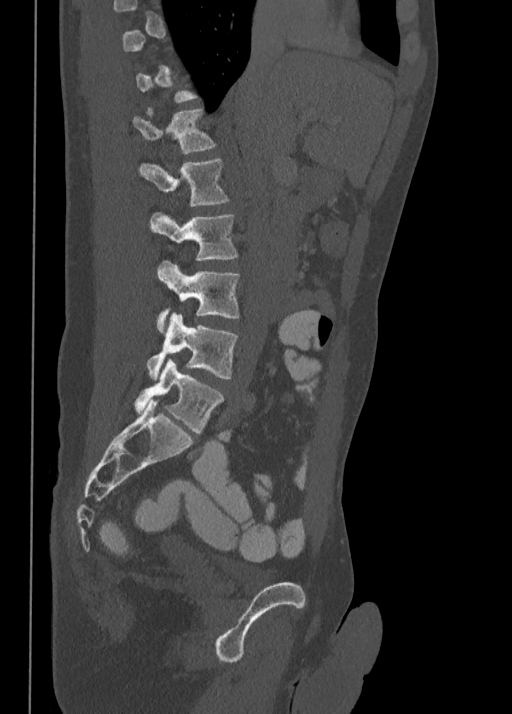
CT; sagittal view
A vertebra is boxed only from the first to the last slice where its cross-section is at least a third of its largest; slices outside that range leave it without a box.
<vertebrae><v name="T12" x1="133" y1="107" x2="215" y2="154"/><v name="L1" x1="139" y1="159" x2="228" y2="204"/><v name="L2" x1="149" y1="212" x2="237" y2="261"/><v name="L3" x1="156" y1="261" x2="239" y2="332"/><v name="L4" x1="148" y1="313" x2="237" y2="379"/><v name="L5" x1="134" y1="358" x2="223" y2="433"/></vertebrae>